Spine computed tomography; sagittal plane, index 67; 7 vertebrae labeled in this scan
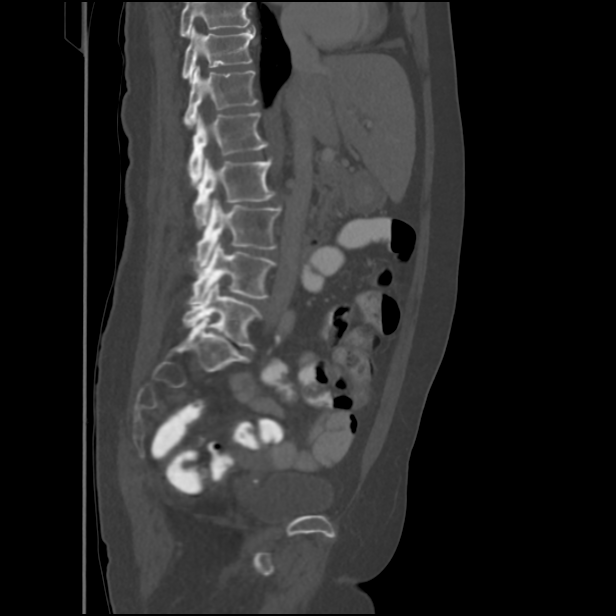
Where the top of the scan cuts through a vertebra, that vertebra gets no label or box.
<vertebrae><v name="T11" x1="182" y1="26" x2="255" y2="82"/><v name="T12" x1="184" y1="66" x2="258" y2="127"/><v name="L1" x1="188" y1="113" x2="268" y2="183"/><v name="L2" x1="194" y1="157" x2="275" y2="228"/><v name="L3" x1="192" y1="198" x2="280" y2="271"/><v name="L4" x1="188" y1="241" x2="276" y2="303"/><v name="L5" x1="184" y1="281" x2="262" y2="349"/></vertebrae>